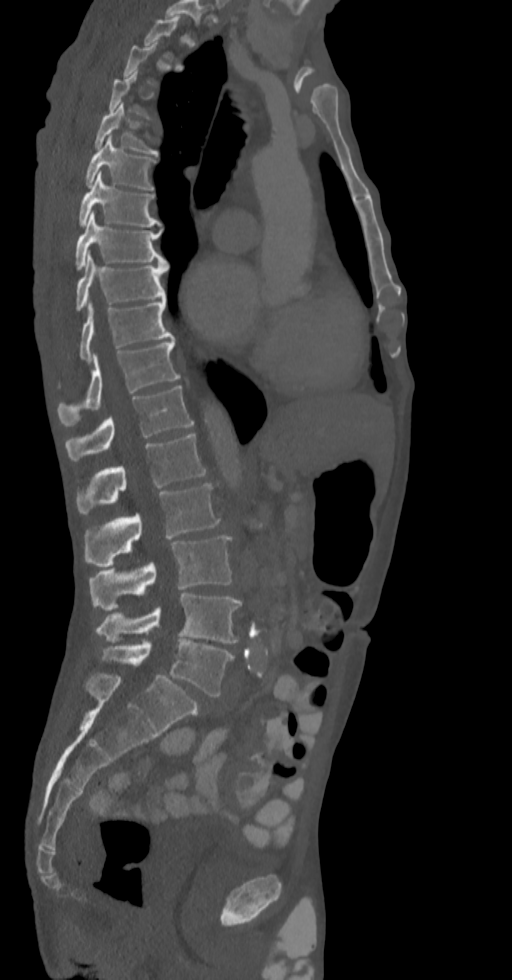

CT spine. sagittal view. bone window. Boxes are (x1, y1, x2, y2) in pixels.
Each vertebra is boxed only on the slices from the first to the last where its cross-section reaches a third of its largest, so a slice outside that range leaves it unboxed.
Vertebra bounding boxes:
- L5: (100, 640, 233, 697)
- L4: (96, 593, 241, 642)
- L3: (88, 536, 232, 610)
- L2: (85, 483, 220, 567)
- L1: (76, 433, 206, 514)
- T12: (65, 386, 194, 461)
- T11: (58, 340, 180, 426)
- T10: (79, 297, 174, 360)
- T9: (76, 253, 168, 311)
- T8: (74, 212, 168, 269)
- T7: (77, 172, 160, 226)
- T6: (85, 136, 157, 189)
- T5: (94, 102, 159, 154)